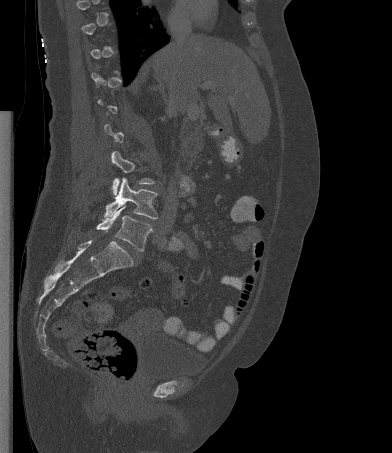

Spine computed tomography; sagittal view; W/L 1800/400 HU; 392x453 px
Coordinates as <box>x1,y1,x2,y2</box>.
A vertebra gets a box only on the slices from the first to the last where its cross-section is at least a third of its largest; on a slice outside that range it gets none.
Vertebra bounding boxes:
- L3: <box>111,151,154,195</box>
- L4: <box>104,177,157,219</box>
- L5: <box>96,206,152,251</box>